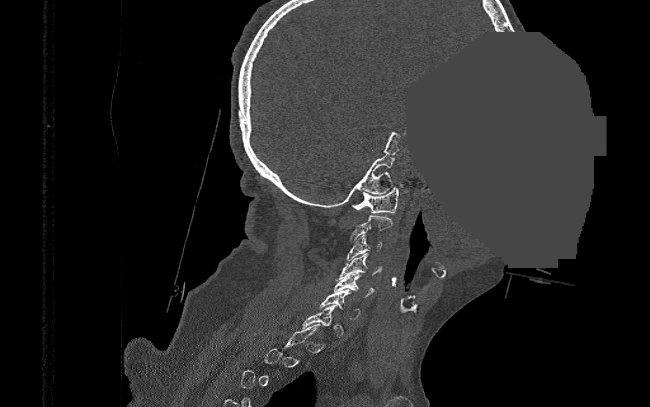
CT, spine; sagittal view; W/L 1800/400 HU; an area of the scan was removed and filled with constant pixels
A vertebra is boxed only from the first to the last slice where its cross-section is at least a third of its largest; slices outside that range leave it without a box.
<vertebrae><v name="C1" x1="352" y1="187" x2="399" y2="213"/><v name="C3" x1="347" y1="235" x2="382" y2="261"/><v name="C4" x1="335" y1="253" x2="382" y2="279"/><v name="C5" x1="334" y1="273" x2="374" y2="297"/><v name="C6" x1="320" y1="289" x2="360" y2="319"/></vertebrae>